Computed tomography of the spine; sagittal view; 194x636 px; scan covers 18 annotated vertebrae
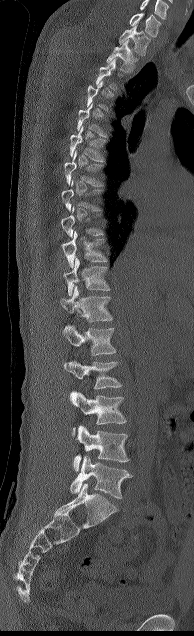 Box edges are left/top/right/bottom in pixels. A vertebra gets a box only on the slices from the first to the last where its cross-section is at least a third of its largest; on a slice outside that range it gets none. This scan's labels start at C7 at the top and end at L5 at the bottom. 14 vertebrae labeled — L5 at left=70, top=456, right=132, bottom=498; L4 at left=73, top=425, right=129, bottom=471; L3 at left=69, top=391, right=126, bottom=436; L2 at left=64, top=360, right=122, bottom=389; L1 at left=62, top=324, right=116, bottom=355; T12 at left=60, top=286, right=112, bottom=322; T11 at left=63, top=257, right=110, bottom=296; T10 at left=61, top=231, right=106, bottom=267; T9 at left=60, top=206, right=104, bottom=237; T7 at left=64, top=150, right=104, bottom=186; T6 at left=70, top=125, right=105, bottom=161; T2 at left=106, top=40, right=138, bottom=72; T1 at left=119, top=25, right=150, bottom=55; C7 at left=129, top=12, right=161, bottom=37.